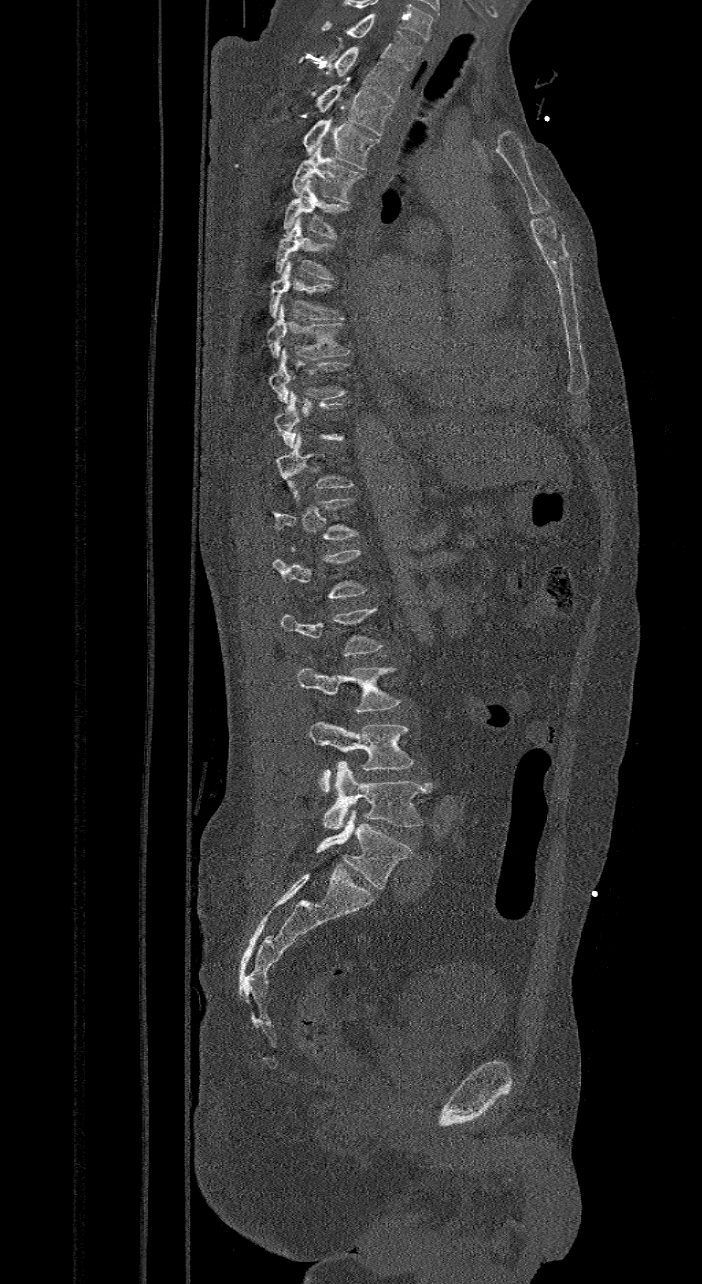 CT spine. sagittal reformat. 702x1284 px

Each box given as x1,y1,x2,y2. A vertebra gets a box only on the slices from the first to the last where its cross-section is at least a third of its largest; on a slice outside that range it gets none. In these labels the spine has an L6, a sixth lumbar vertebra below L5. Vertebrae labeled: L6 at x1=317, y1=808, x2=412, y2=888, L5 at x1=322, y1=761, x2=431, y2=830, L4 at x1=308, y1=722, x2=414, y2=792, L3 at x1=299, y1=668, x2=401, y2=712, T9 at x1=269, y1=348, x2=347, y2=402, T8 at x1=266, y1=303, x2=348, y2=358, T7 at x1=269, y1=260, x2=346, y2=319, T6 at x1=275, y1=217, x2=333, y2=279, T5 at x1=282, y1=179, x2=350, y2=239, T4 at x1=291, y1=144, x2=365, y2=204, T3 at x1=303, y1=115, x2=379, y2=170, T2 at x1=318, y1=83, x2=394, y2=135, T1 at x1=297, y1=45, x2=403, y2=102, C7 at x1=321, y1=15, x2=422, y2=69.